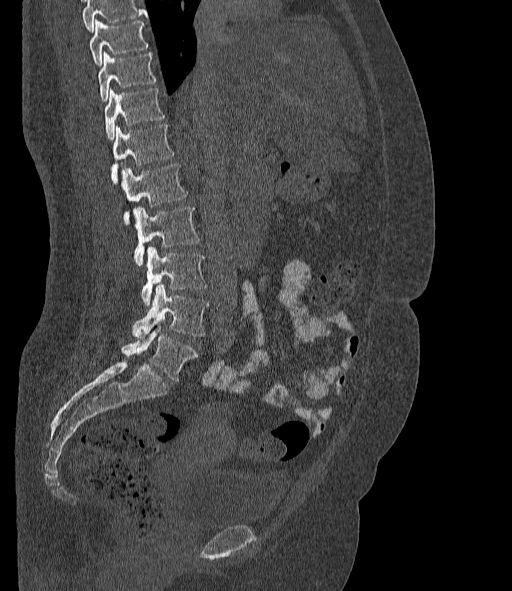 Spine computed tomography. sagittal view. image 377 mm wide
Bounding boxes as [x1, y1, x2, y2] in pixel coordinates.
A vertebra cut off by the top edge of the scan is not labeled and has no box.
The labels name a sixth lumbar vertebra for this spine: L6, after L5.
Vertebra bounding boxes:
- T10: [89, 20, 148, 66]
- T11: [98, 52, 155, 101]
- T12: [104, 88, 165, 140]
- L1: [111, 125, 174, 184]
- L2: [121, 164, 188, 224]
- L3: [133, 206, 200, 267]
- L4: [141, 246, 207, 305]
- L5: [132, 284, 208, 336]
- L6: [121, 322, 197, 381]